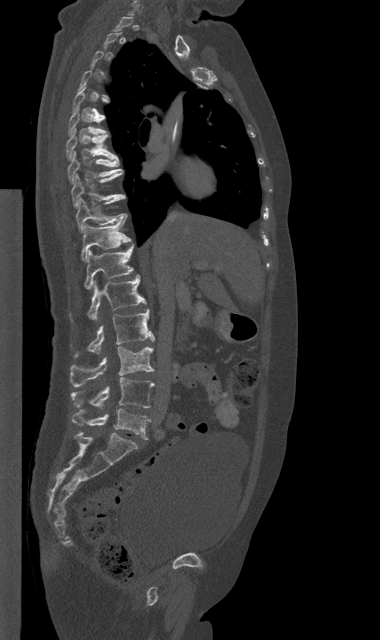
Spine CT; sagittal view; Bone window (WL 400, WW 1800); 380x640 px

Each box given as x1,y1,x2,y2.
A vertebra gets a box only on the slices from the first to the last where its cross-section is at least a third of its largest; on a slice outside that range it gets none.
Vertebra bounding boxes:
- T6: x1=68, y1=108, x2=106, y2=135
- T7: x1=66, y1=129, x2=118, y2=159
- T8: x1=67, y1=151, x2=123, y2=183
- T9: x1=71, y1=172, x2=125, y2=207
- T10: x1=76, y1=198, x2=126, y2=232
- T11: x1=81, y1=220, x2=131, y2=260
- T12: x1=84, y1=244, x2=133, y2=289
- L1: x1=88, y1=275, x2=146, y2=321
- L2: x1=74, y1=309, x2=154, y2=356
- L3: x1=70, y1=347, x2=153, y2=386
- L4: x1=71, y1=377, x2=154, y2=408
- L5: x1=72, y1=409, x2=150, y2=439